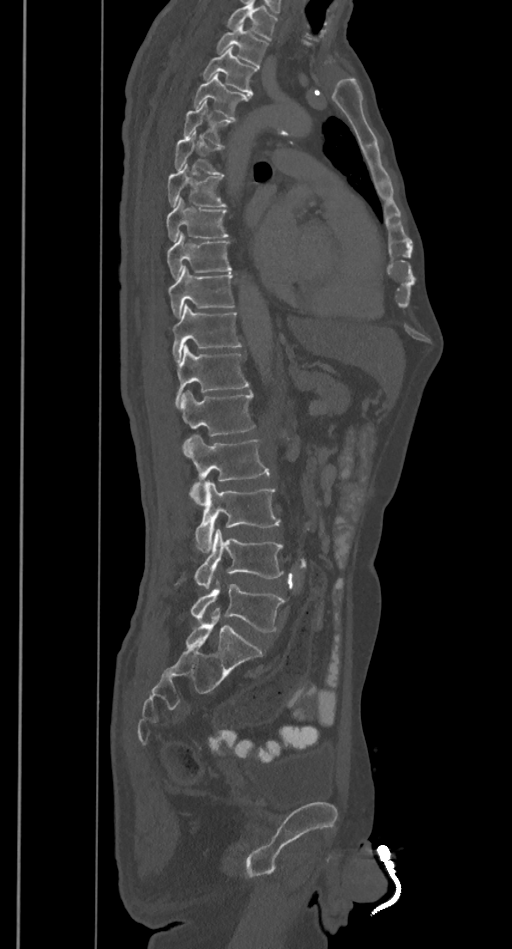 CT. sagittal view. 512x949 px
Each row gives a vertebra's box as x1, y1, x2, y2 in pixels: top-left corner, then bottom-right corner.
Where the top of the scan cuts through a vertebra, that vertebra gets no label or box.
| vertebra | x1 | y1 | x2 | y2 |
|---|---|---|---|---|
| T2 | 217 | 25 | 267 | 66 |
| T3 | 202 | 47 | 257 | 94 |
| T4 | 194 | 74 | 250 | 119 |
| T5 | 182 | 102 | 233 | 145 |
| T6 | 174 | 133 | 224 | 175 |
| T7 | 167 | 166 | 226 | 206 |
| T8 | 166 | 197 | 228 | 241 |
| T9 | 167 | 232 | 232 | 278 |
| T10 | 169 | 266 | 234 | 317 |
| T11 | 171 | 305 | 241 | 362 |
| T12 | 177 | 346 | 249 | 404 |
| L1 | 179 | 390 | 254 | 436 |
| L2 | 183 | 434 | 269 | 504 |
| L3 | 195 | 481 | 281 | 553 |
| L4 | 194 | 529 | 283 | 589 |
| L5 | 190 | 580 | 285 | 632 |